Computed tomography of the spine. sagittal plane, index 257. 512x506 px. 8 vertebrae labeled in this scan
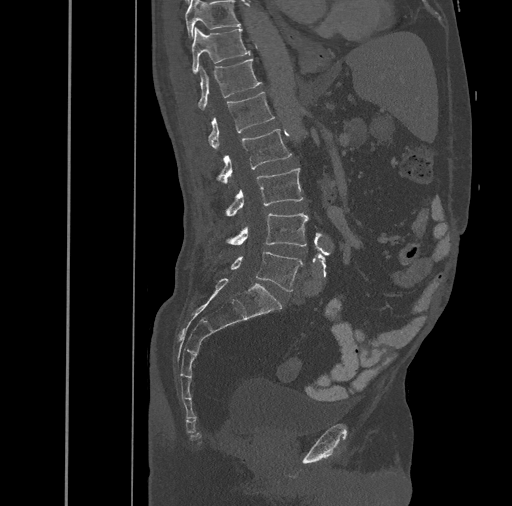 Box values are [left, top, right, bottom] in pixels.
{"vertebrae":{"T10":[184,0,241,37],"T11":[191,27,250,73],"T12":[198,58,262,110],"L1":[208,92,275,150],"L2":[218,128,292,184],"L3":[226,168,303,215],"L4":[226,213,308,246],"L5":[231,252,303,291]}}